Spine computed tomography. sagittal view. 576x488 px. scan covers 12 annotated vertebrae
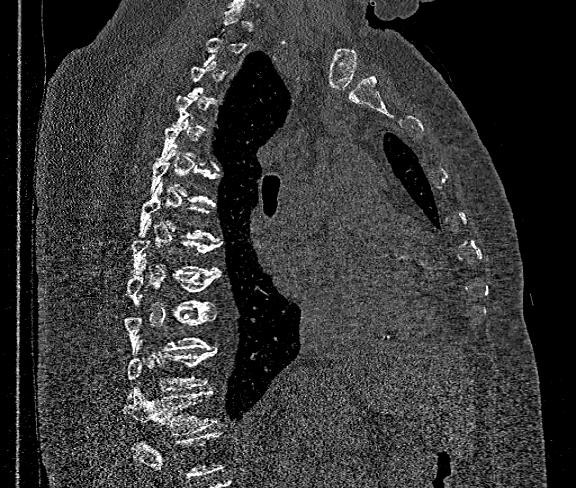

Each box given as x1,y1,x2,y2.
A vertebra gets a box only on the slices from the first to the last where its cross-section is at least a third of its largest; on a slice outside that range it gets none.
No box is given to a vertebra that the bottom edge of the scan cuts off.
| vertebra | x1 | y1 | x2 | y2 |
|---|---|---|---|---|
| T7 | 138 | 182 | 216 | 239 |
| T8 | 130 | 219 | 221 | 275 |
| T9 | 126 | 258 | 219 | 313 |
| T10 | 125 | 308 | 215 | 353 |
| T11 | 126 | 343 | 216 | 391 |
| T12 | 123 | 388 | 216 | 436 |